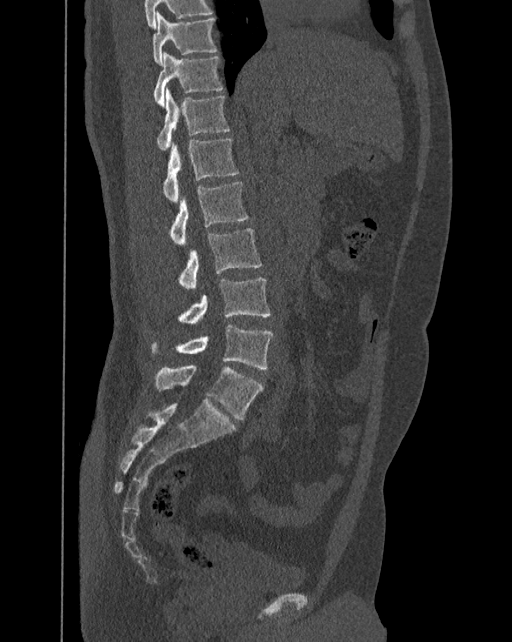 CT, spine. sagittal view
In the table, x1 and y1 are a box's top-left corner and x2 and y2 its bottom-right corner, in pixels.
These labels give the spine a sixth lumbar vertebra, L6, below L5.
| vertebra | x1 | y1 | x2 | y2 |
|---|---|---|---|---|
| T10 | 153 | 11 | 217 | 65 |
| T11 | 153 | 52 | 223 | 107 |
| T12 | 157 | 88 | 230 | 149 |
| L1 | 163 | 138 | 239 | 201 |
| L2 | 168 | 182 | 248 | 244 |
| L3 | 176 | 229 | 261 | 288 |
| L4 | 177 | 277 | 271 | 323 |
| L5 | 150 | 324 | 272 | 369 |
| L6 | 155 | 364 | 263 | 420 |